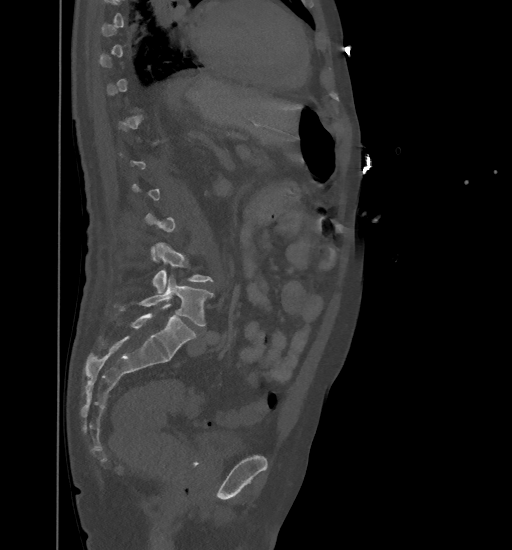 CT spine. sagittal view. bone window

Boxes: x1 y1 x2 y2 (pixel coords, space-separated). A vertebra is boxed only from the first to the last slice where its cross-section is at least a third of its largest; slices outside that range leave it without a box. The labeled vertebrae in this slice are: L4 at 151 242 213 293, L5 at 115 275 214 326.